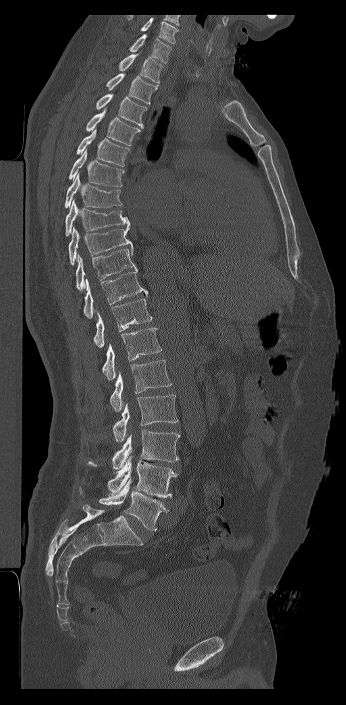

CT spine · sagittal reformat · 346x705 px · the image spans 346 mm across
Each box given as x1,y1,x2,y2.
In this scan, the topmost labeled vertebra is C7 and the lowest is L6.
The labels name a sixth lumbar vertebra for this spine: L6, after L5.
Vertebra bounding boxes:
- C7: x1=129, y1=34, x2=171, y2=63
- T1: x1=118, y1=54, x2=163, y2=84
- T2: x1=106, y1=73, x2=157, y2=104
- T3: x1=96, y1=93, x2=147, y2=128
- T4: x1=85, y1=108, x2=140, y2=146
- T5: x1=76, y1=129, x2=130, y2=166
- T6: x1=68, y1=149, x2=124, y2=186
- T7: x1=64, y1=173, x2=122, y2=208
- T8: x1=65, y1=199, x2=130, y2=236
- T9: x1=68, y1=227, x2=132, y2=265
- T10: x1=75, y1=247, x2=137, y2=291
- T11: x1=83, y1=271, x2=148, y2=318
- T12: x1=93, y1=299, x2=152, y2=348
- L1: x1=102, y1=328, x2=161, y2=380
- L2: x1=109, y1=360, x2=172, y2=412
- L3: x1=112, y1=394, x2=178, y2=442
- L4: x1=112, y1=429, x2=180, y2=473
- L5: x1=88, y1=456, x2=178, y2=497
- L6: x1=79, y1=480, x2=168, y2=531